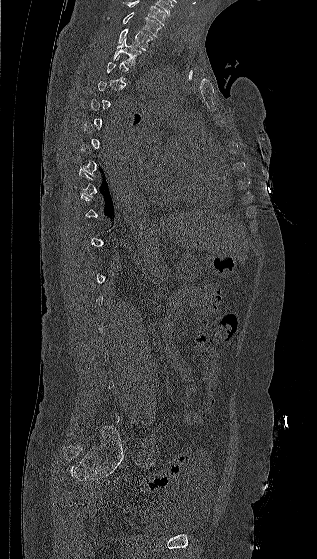

CT, spine; sagittal view
A vertebra gets a box only on the slices from the first to the last where its cross-section is at least a third of its largest; on a slice outside that range it gets none.
Labels in this scan begin with C7 at the top and end with L5 at the bottom.
<vertebrae><v name="C7" x1="122" y1="12" x2="161" y2="36"/><v name="T1" x1="117" y1="29" x2="153" y2="50"/><v name="T2" x1="112" y1="38" x2="142" y2="65"/></vertebrae>